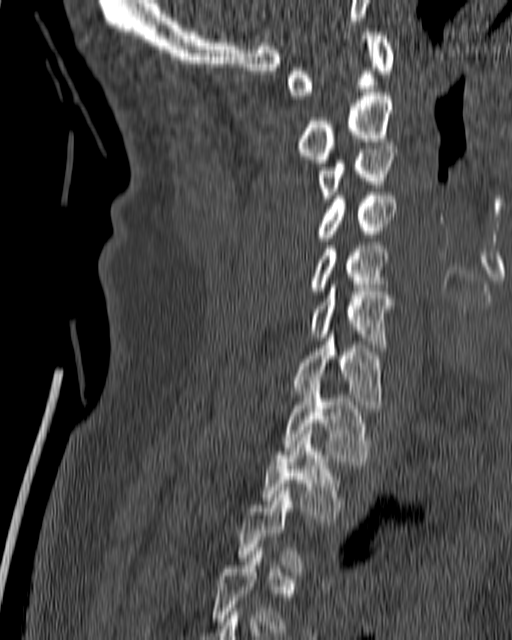
CT, spine — sagittal view

A vertebra gets a box only on the slices from the first to the last where its cross-section is at least a third of its largest; on a slice outside that range it gets none.
<vertebrae><v name="C1" x1="287" y1="32" x2="393" y2="99"/><v name="C2" x1="300" y1="92" x2="392" y2="163"/><v name="C3" x1="318" y1="146" x2="397" y2="202"/><v name="C4" x1="317" y1="192" x2="395" y2="241"/><v name="C5" x1="311" y1="245" x2="387" y2="294"/><v name="C6" x1="311" y1="284" x2="393" y2="347"/><v name="C7" x1="291" y1="334" x2="381" y2="408"/><v name="T1" x1="283" y1="380" x2="370" y2="465"/><v name="T2" x1="261" y1="430" x2="341" y2="522"/></vertebrae>